Computed tomography of the spine; Sagittal slice 268/512; 8 vertebrae labeled in this scan; image width 140 mm
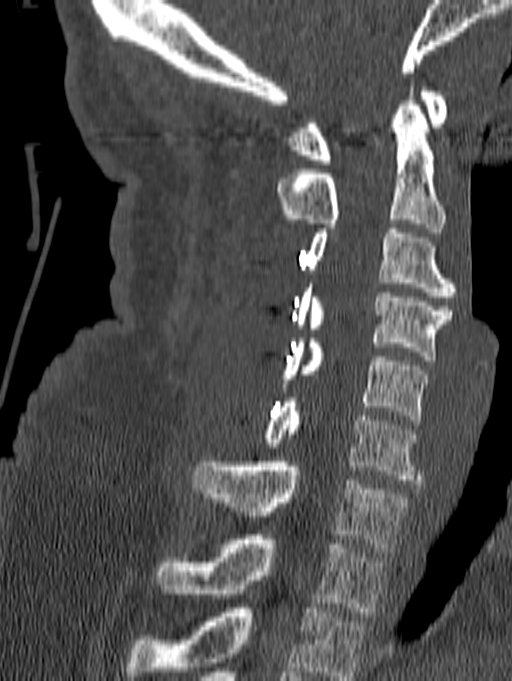
Box edges are left/top/right/bottom in pixels.
The highest labeled vertebra in this scan is C1; the lowest is T1.
C1: left=289, top=87, right=447, bottom=164
C2: left=276, top=82, right=445, bottom=232
C3: left=306, top=229, right=456, bottom=301
C4: left=294, top=283, right=451, bottom=360
C5: left=283, top=338, right=428, bottom=424
C6: left=265, top=398, right=421, bottom=484
C7: left=192, top=462, right=410, bottom=552
T1: left=155, top=535, right=386, bottom=616